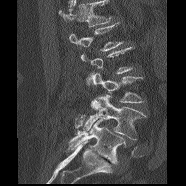

Spine computed tomography · sagittal view · image 186 mm wide · Bone window (WL 400, WW 1800) · 186x186 px
Each vertebra maps to its box as [x1, y1, x2, y2], the pixel coordinates of its top-left and bottom-right corners.
Each vertebra is boxed only on the slices from the first to the last where its cross-section reaches a third of its largest, so a slice outside that range leaves it unboxed.
No box is given to a vertebra that the top edge of the scan cuts off.
{"vertebrae":{"L5":[68,114,125,163],"L4":[83,95,147,140],"L3":[86,73,145,103],"L1":[69,22,123,51]}}